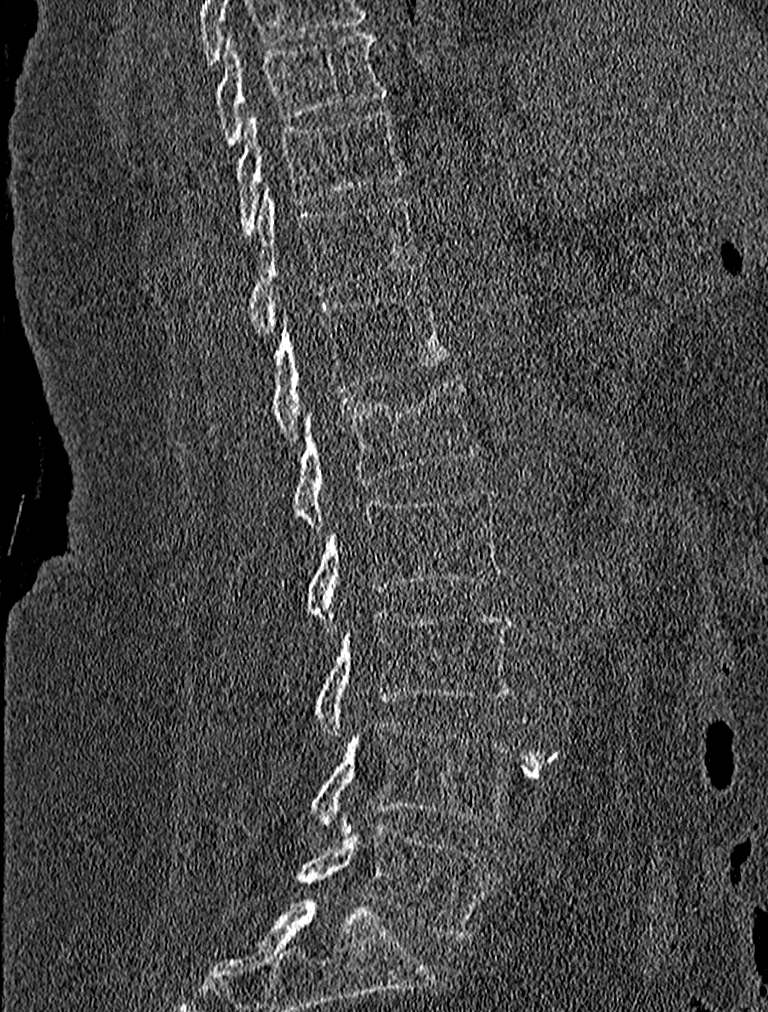

CT, spine. sagittal view. bone window. Each row gives a vertebra's box as x1, y1, x2, y2 in pixels: top-left corner, then bottom-right corner.
| vertebra | x1 | y1 | x2 | y2 |
|---|---|---|---|---|
| T9 | 215 | 33 | 387 | 145 |
| T10 | 236 | 111 | 404 | 237 |
| T11 | 249 | 190 | 417 | 334 |
| T12 | 269 | 288 | 448 | 441 |
| L1 | 293 | 376 | 478 | 526 |
| L2 | 303 | 487 | 502 | 626 |
| L3 | 313 | 611 | 515 | 739 |
| L4 | 307 | 719 | 513 | 836 |
| L5 | 297 | 824 | 492 | 941 |